Spine CT — sagittal view — the image is 191 mm wide — 18 vertebrae labeled in this scan
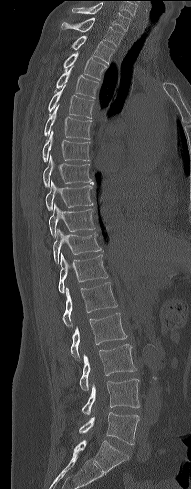

Each box given as x1,y1,x2,y2. 18 vertebrae labeled — C7 at x1=72, y1=3, x2=130, y2=31; T1 at x1=60, y1=18, x2=123, y2=46; T2 at x1=69, y1=35, x2=115, y2=63; T3 at x1=63, y1=53, x2=106, y2=80; T4 at x1=54, y1=67, x2=99, y2=98; T5 at x1=48, y1=85, x2=94, y2=118; T6 at x1=44, y1=105, x2=92, y2=139; T7 at x1=43, y1=131, x2=90, y2=161; T8 at x1=43, y1=156, x2=92, y2=186; T9 at x1=45, y1=180, x2=93, y2=210; T10 at x1=49, y1=204, x2=95, y2=237; T11 at x1=53, y1=229, x2=101, y2=264; T12 at x1=58, y1=253, x2=108, y2=293; L1 at x1=63, y1=282, x2=117, y2=326; L2 at x1=70, y1=313, x2=127, y2=360; L3 at x1=80, y1=344, x2=136, y2=390; L4 at x1=82, y1=379, x2=140, y2=415; L5 at x1=78, y1=412, x2=139, y2=445.